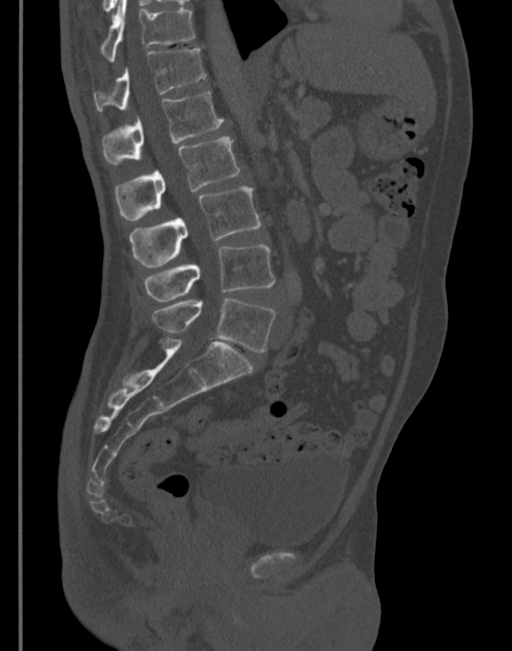 Computed tomography of the spine. image 345 mm wide. sagittal view

<vertebrae><v name="L5" x1="153" y1="299" x2="275" y2="352"/><v name="L4" x1="144" y1="245" x2="275" y2="301"/><v name="L3" x1="129" y1="186" x2="260" y2="267"/><v name="L2" x1="116" y1="138" x2="239" y2="220"/><v name="L1" x1="102" y1="91" x2="223" y2="163"/><v name="T12" x1="93" y1="49" x2="205" y2="111"/><v name="T11" x1="101" y1="0" x2="195" y2="61"/></vertebrae>